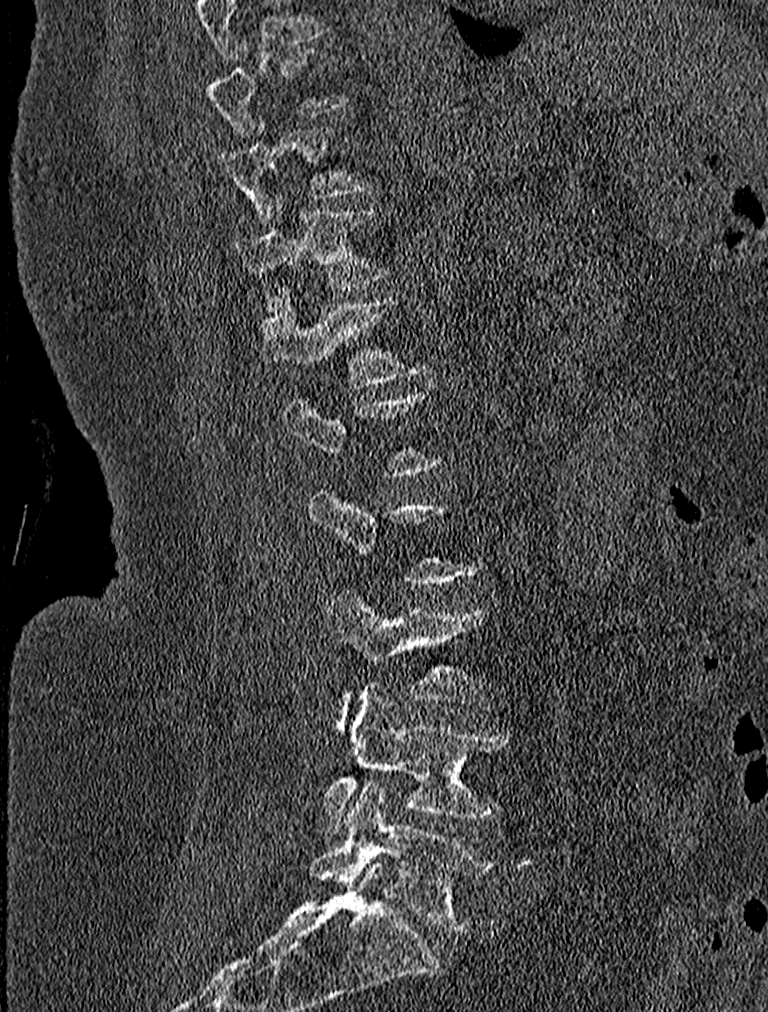
Computed tomography of the spine; sagittal reformat; 768x1012 px
In the table, x1 and y1 are a box's top-left corner and x2 and y2 its bottom-right corner, in pixels.
A vertebra is boxed only from the first to the last slice where its cross-section is at least a third of its largest; slices outside that range leave it without a box.
In this scan, the topmost labeled vertebra is T9 and the lowest is L5.
| vertebra | x1 | y1 | x2 | y2 |
|---|---|---|---|---|
| T9 | 209 | 41 | 350 | 136 |
| T10 | 219 | 119 | 373 | 217 |
| T11 | 236 | 192 | 387 | 311 |
| T12 | 260 | 288 | 427 | 384 |
| L3 | 327 | 591 | 484 | 731 |
| L4 | 324 | 685 | 510 | 833 |
| L5 | 310 | 779 | 495 | 931 |